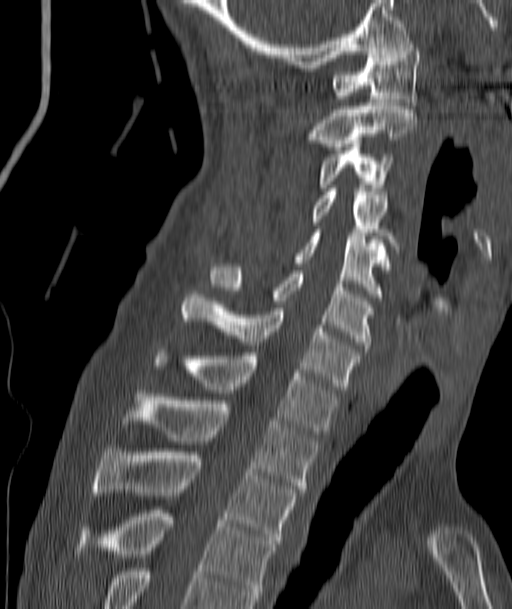 CT, spine. sagittal view. W/L 1800/400 HU
Box edges are left/top/right/bottom in pixels. Vertebrae labeled: T4 at left=80, top=510, right=274, bottom=601, T3 at left=94, top=448, right=296, bottom=543, T2 at left=124, top=394, right=317, bottom=492, T1 at left=154, top=353, right=337, bottom=434, C7 at left=182, top=291, right=359, bottom=389, C6 at left=212, top=267, right=372, bottom=348, C5 at left=297, top=229, right=386, bottom=297, C4 at left=313, top=188, right=398, bottom=252, C3 at left=318, top=147, right=391, bottom=191, C2 at left=310, top=103, right=416, bottom=150, C1 at left=332, top=44, right=419, bottom=105.